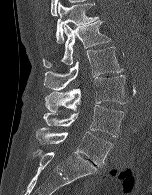 Computed tomography of the spine. sagittal reformat. 152x195 px
Each box given as x1,y1,x2,y2.
L5: x1=36, y1=127, x2=112, y2=166
L4: x1=43, y1=105, x2=124, y2=137
L3: x1=45, y1=75, x2=127, y2=111
L2: x1=44, y1=47, x2=123, y2=90
L1: x1=43, y1=20, x2=110, y2=67
T12: x1=56, y1=1, x2=99, y2=43